Computed tomography of the spine · Sagittal slice 318/512
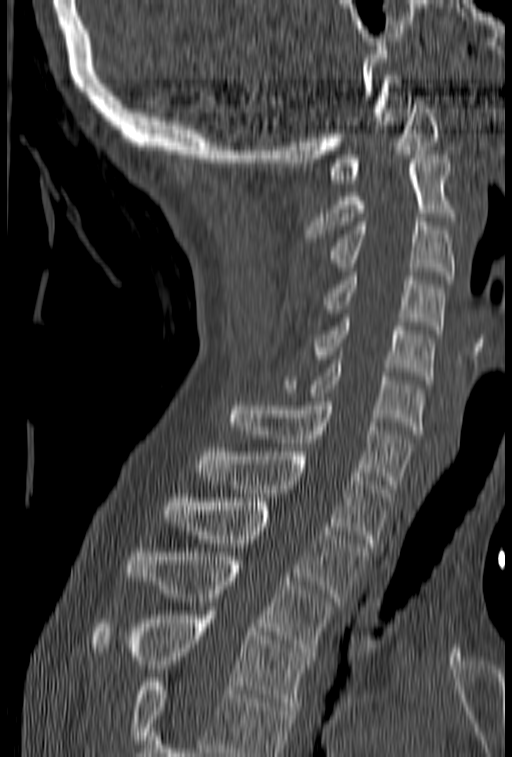
Boxes are given in columns x1, y1, x2, y2, the pixel coordinates of their top-left and bottom-right corners.
A vertebra cut off by the bottom edge of the scan is not labeled and has no box.
| vertebra | x1 | y1 | x2 | y2 |
|---|---|---|---|---|
| T4 | 91 | 615 | 312 | 710 |
| T3 | 127 | 548 | 335 | 656 |
| T2 | 164 | 502 | 368 | 601 |
| T1 | 198 | 448 | 392 | 547 |
| C7 | 229 | 397 | 412 | 488 |
| C6 | 282 | 360 | 425 | 434 |
| C5 | 312 | 314 | 435 | 380 |
| C4 | 322 | 272 | 445 | 334 |
| C3 | 329 | 218 | 455 | 279 |
| C2 | 306 | 155 | 455 | 242 |
| C1 | 329 | 96 | 439 | 183 |